CT spine; image 168 mm wide; Sagittal slice 117/168; bone window
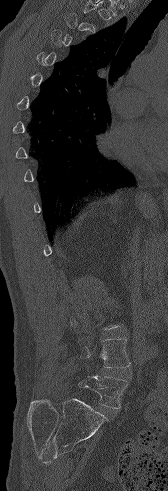 Coordinates as <box>x1,y1,x2,y2</box>.
A vertebra is boxed only from the first to the last slice where its cross-section is at least a third of its largest; slices outside that range leave it without a box.
Vertebra bounding boxes:
- L4: <box>80,338,130,368</box>
- L5: <box>79,376,128,408</box>